CT, spine. the image spans 165 mm across. sagittal view. bone-window reconstruction. scan covers 10 annotated vertebrae
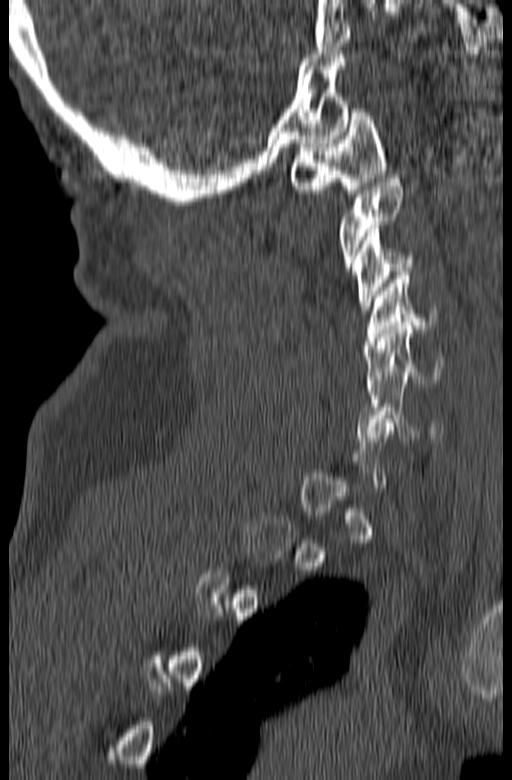
Each box given as x1,y1,x2,y2.
A vertebra gets a box only on the slices from the first to the last where its cross-section is at least a third of its largest; on a slice outside that range it gets none.
Vertebra bounding boxes:
- C1: x1=290, y1=109, x2=386, y2=193
- C2: x1=339, y1=175, x2=401, y2=271
- C3: x1=353, y1=225, x2=415, y2=313
- C4: x1=363, y1=272, x2=435, y2=348
- C5: x1=364, y1=322, x2=446, y2=391
- C6: x1=356, y1=376, x2=442, y2=441